CT spine. sagittal view. scan covers 5 annotated vertebrae
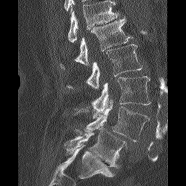

Coordinates as <box>x1,y1,x2,y2</box>.
Where the top of the scan cuts through a vertebra, that vertebra gets no label or box.
L1: <box>60,16,132,68</box>
L2: <box>66,44,142,89</box>
L3: <box>91,76,151,118</box>
L4: <box>73,99,149,141</box>
L5: <box>65,127,127,168</box>